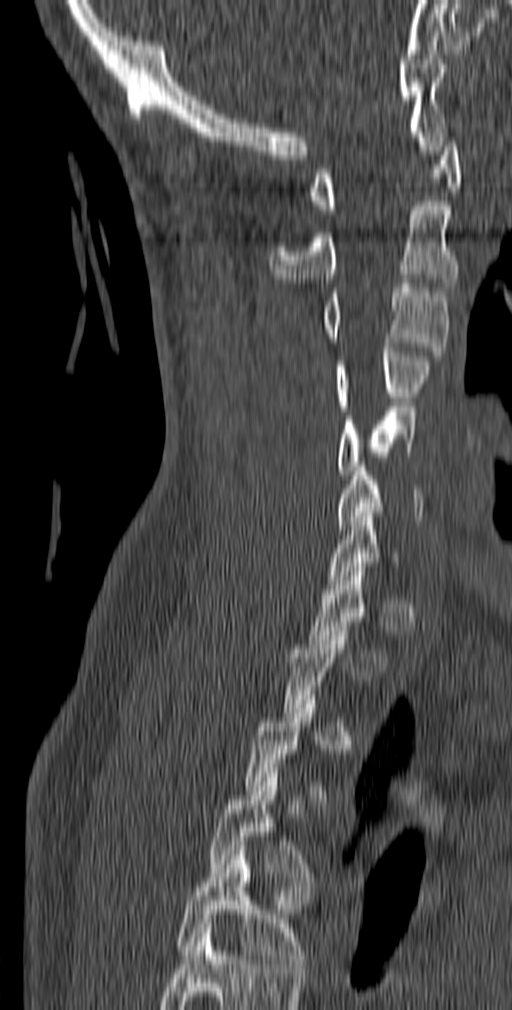
CT. sagittal view. bone window

Boxes are given in columns x1, y1, x2, y2, the pixel coordinates of their top-left and bottom-right corners.
Each vertebra is boxed only on the slices from the first to the last where its cross-section reaches a third of its largest, so a slice outside that range leaves it unboxed.
Labels in this scan begin with C1 at the top and end with T5 at the bottom.
| vertebra | x1 | y1 | x2 | y2 |
|---|---|---|---|---|
| C1 | 311 | 128 | 461 | 214 |
| C2 | 270 | 201 | 458 | 287 |
| C3 | 320 | 279 | 448 | 356 |
| C4 | 334 | 347 | 432 | 410 |
| C5 | 338 | 407 | 417 | 474 |
| C6 | 337 | 462 | 423 | 529 |
| T4 | 206 | 773 | 317 | 890 |
| T5 | 176 | 850 | 308 | 968 |